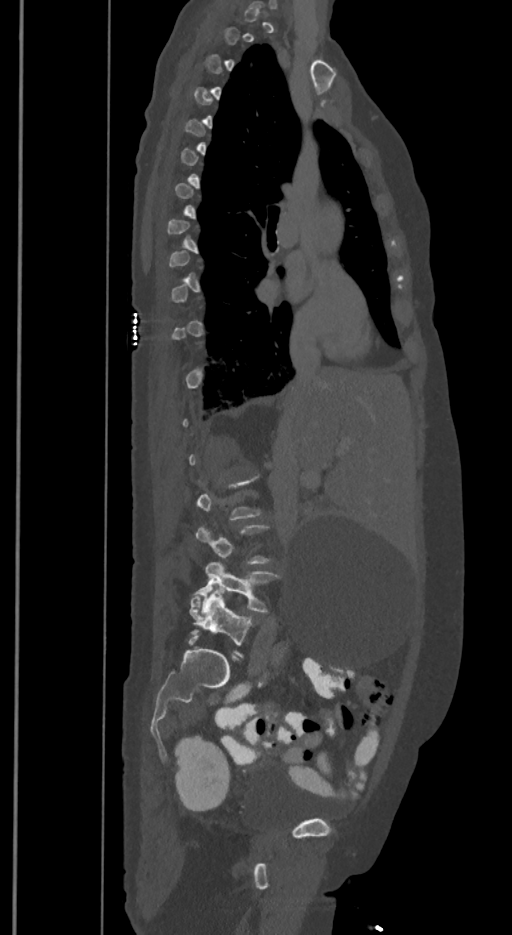
Spine CT — 350 mm across the image — sagittal view

Each box given as x1,y1,x2,y2.
A vertebra is boxed only from the first to the last slice where its cross-section is at least a third of its largest; slices outside that range leave it without a box.
The labels name a sixth lumbar vertebra for this spine: L6, after L5.
L6: x1=189, y1=587, x2=252, y2=656
L5: x1=193, y1=562, x2=278, y2=614